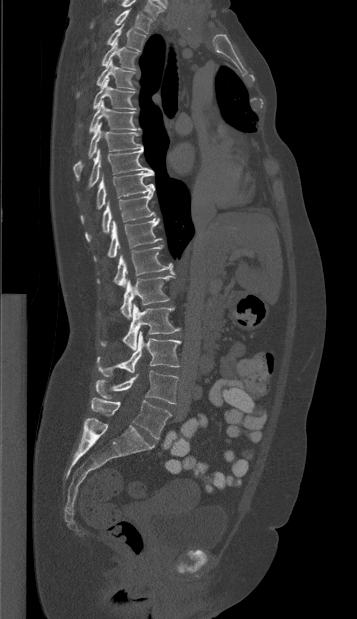 Computed tomography of the spine · sagittal view · Bone window (WL 400, WW 1800)
Box values are [left, top, right, bottom] in pixels.
{"vertebrae":{"L5":[91,397,171,439],"L4":[96,370,178,403],"L3":[97,331,180,376],"L2":[100,303,180,349],"L1":[120,275,174,319],"T12":[97,245,175,287],"T11":[93,218,161,261],"T10":[85,191,155,242],"T9":[81,171,154,223],"T8":[87,149,152,187],"T7":[73,123,143,180],"T6":[89,101,139,132],"T5":[93,78,136,109],"T4":[76,60,134,96],"T3":[101,39,138,69],"T2":[106,24,145,51],"T1":[91,8,152,33]}}